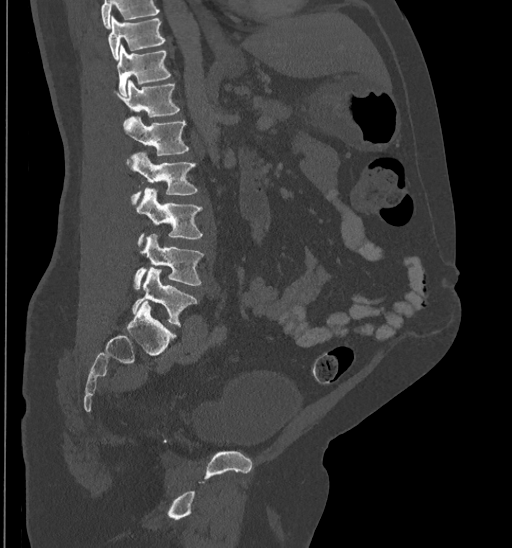 CT spine; sagittal reformat
No box is given to a vertebra that the top edge of the scan cuts off.
<vertebrae><v name="L5" x1="132" y1="268" x2="197" y2="325"/><v name="L4" x1="133" y1="233" x2="204" y2="289"/><v name="L3" x1="135" y1="187" x2="203" y2="245"/><v name="L2" x1="129" y1="153" x2="198" y2="202"/><v name="L1" x1="123" y1="117" x2="188" y2="155"/><v name="T12" x1="113" y1="79" x2="179" y2="118"/><v name="T11" x1="116" y1="44" x2="171" y2="96"/><v name="T10" x1="108" y1="16" x2="165" y2="59"/></vertebrae>